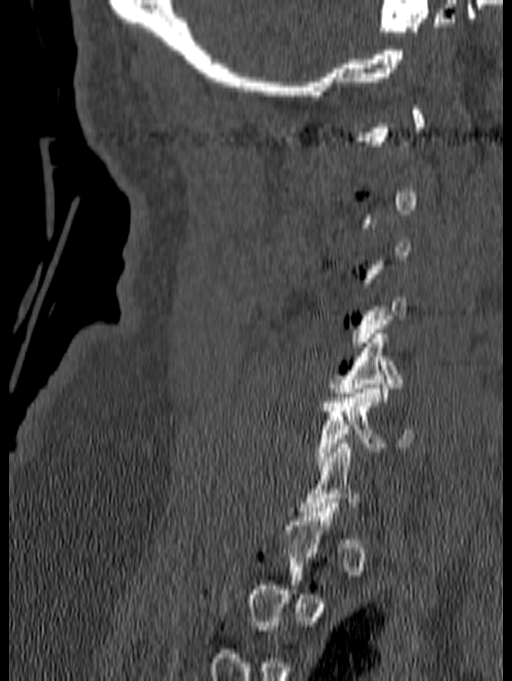 Spine computed tomography. sagittal view. bone window. 512x681 px
Each box given as x1,y1,x2,y2.
A vertebra gets a box only on the slices from the first to the last where its cross-section is at least a third of its largest; on a slice outside that range it gets none.
Vertebra bounding boxes:
- C6: x1=315, y1=384, x2=415, y2=465
- C5: x1=329, y1=329, x2=403, y2=401